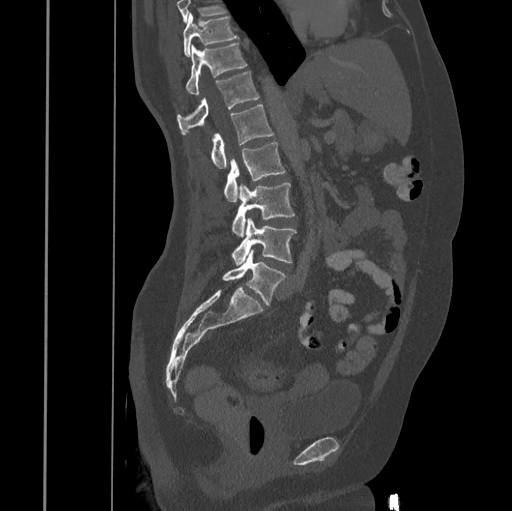

Spine computed tomography. 445 mm across the image. sagittal view

A vertebra cut off by the top edge of the scan is not labeled and has no box.
<vertebrae><v name="T10" x1="183" y1="13" x2="238" y2="56"/><v name="T11" x1="186" y1="43" x2="246" y2="94"/><v name="T12" x1="177" y1="72" x2="259" y2="134"/><v name="L1" x1="210" y1="105" x2="274" y2="168"/><v name="L2" x1="224" y1="141" x2="285" y2="201"/><v name="L3" x1="231" y1="182" x2="295" y2="237"/><v name="L4" x1="231" y1="218" x2="296" y2="265"/><v name="L5" x1="222" y1="250" x2="287" y2="304"/></vertebrae>